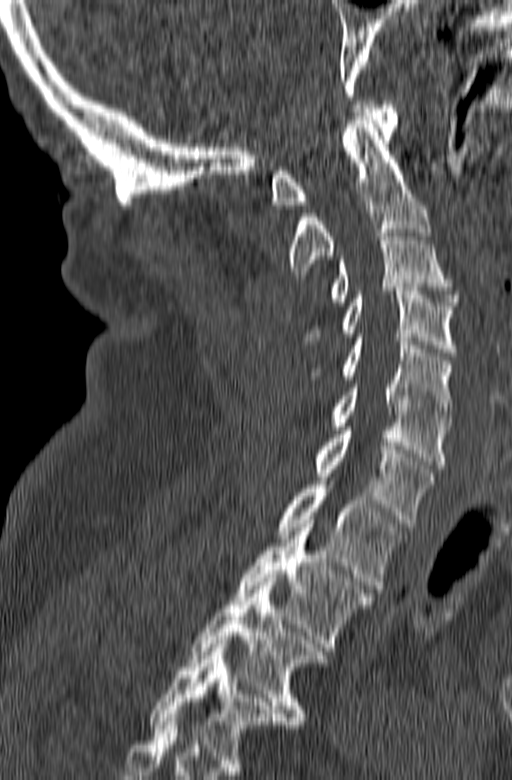 Spine CT · sagittal reformat · bone-window reconstruction
Columns x1, y1, x2, y2 give each box's top-left and bottom-right pixels.
This scan's labels start at C1 at the top and end at T3 at the bottom.
| vertebra | x1 | y1 | x2 | y2 |
|---|---|---|---|---|
| T3 | 186 | 578 | 325 | 724 |
| T2 | 234 | 520 | 376 | 651 |
| T1 | 277 | 481 | 403 | 592 |
| C7 | 314 | 427 | 434 | 527 |
| C6 | 330 | 380 | 451 | 468 |
| C5 | 311 | 337 | 453 | 418 |
| C4 | 303 | 287 | 457 | 356 |
| C3 | 330 | 229 | 459 | 305 |
| C2 | 287 | 116 | 430 | 278 |
| C1 | 271 | 101 | 397 | 208 |